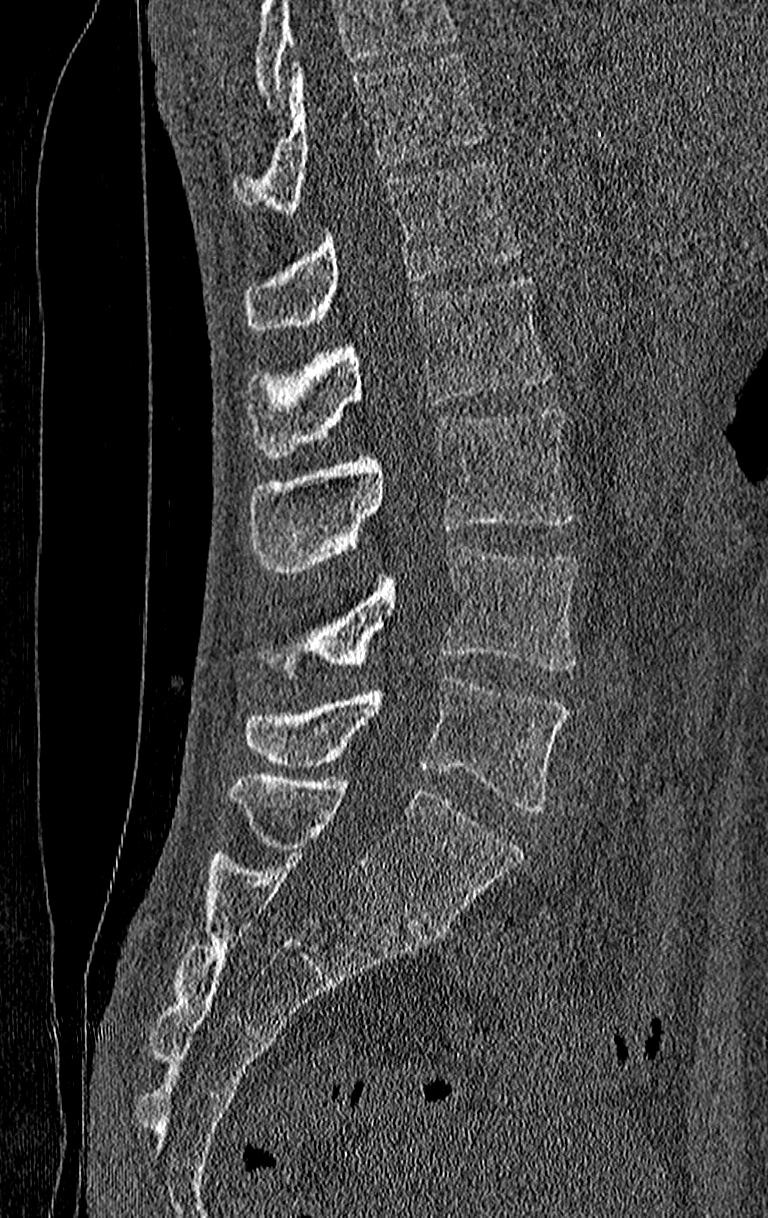
CT spine. sagittal reformat
Each box given as x1,y1,x2,y2.
Vertebrae that run past the top of the scan are left unlabeled.
The highest labeled vertebra in this scan is T11; the lowest is L4.
| vertebra | x1 | y1 | x2 | y2 |
|---|---|---|---|---|
| T11 | 233 | 53 | 484 | 211 |
| T12 | 244 | 161 | 524 | 330 |
| L1 | 247 | 278 | 554 | 457 |
| L2 | 251 | 406 | 572 | 573 |
| L3 | 313 | 546 | 579 | 669 |
| L4 | 244 | 678 | 568 | 812 |